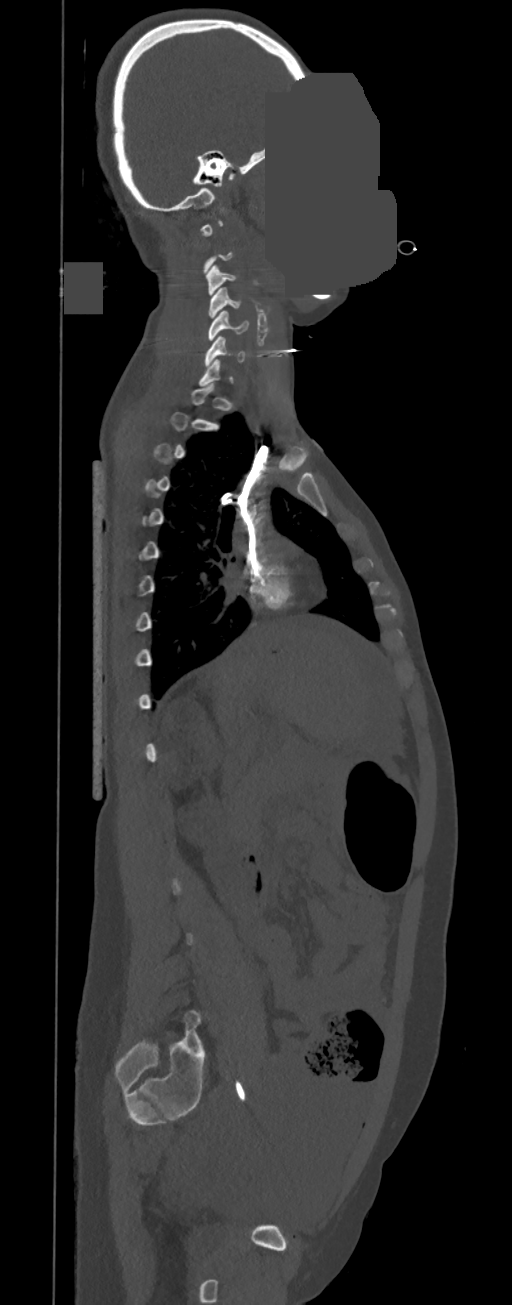

Computed tomography of the spine. sagittal reformat. bone window. the image is 350 mm wide. part of the image is a flat gray fill, not anatomy

Boxes: x1 y1 x2 y2 (pixel coords, space-separated).
A vertebra is boxed only from the first to the last slice where its cross-section is at least a third of its largest; slices outside that range leave it without a box.
Vertebra bounding boxes:
- C3: 205 265 236 295
- C4: 209 287 241 318
- C5: 208 311 249 340
- C6: 204 336 245 366